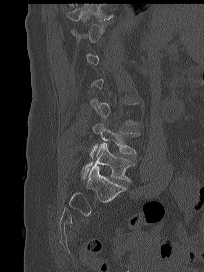

CT — sagittal reformat — image 204 mm wide — bone window
Box edges are left/top/right/bottom in pixels.
A vertebra gets a box only on the slices from the first to the last where its cross-section is at least a third of its largest; on a slice outside that range it gets none.
Vertebra bounding boxes:
- L5: left=81, top=143, right=134, bottom=181
- L4: left=90, top=122, right=139, bottom=158